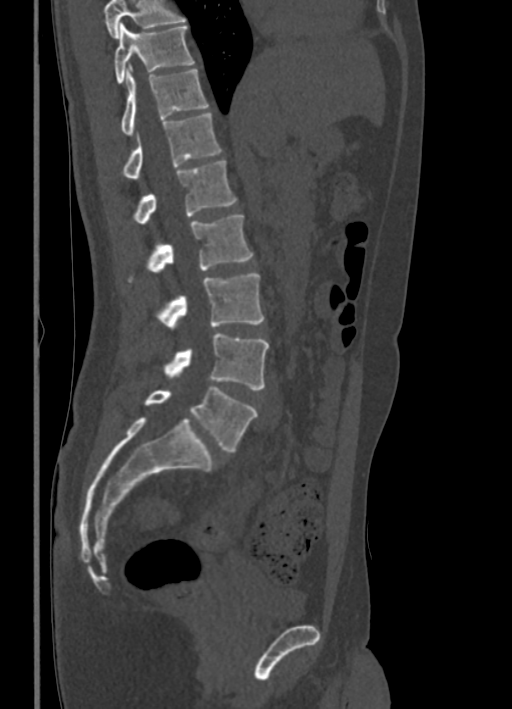
Spine computed tomography; 336 mm wide; sagittal reformat; 512x709 px
Box edges are left/top/right/bottom in pixels.
Where the top of the scan cuts through a vertebra, that vertebra gets no label or box.
T10: left=114, top=23, right=194, bottom=83
T11: left=122, top=68, right=208, bottom=134
T12: left=123, top=112, right=221, bottom=178
L1: left=134, top=160, right=237, bottom=225
L2: left=148, top=215, right=253, bottom=273
L3: left=158, top=273, right=264, bottom=330
L4: left=164, top=334, right=269, bottom=389
L5: left=145, top=387, right=258, bottom=451